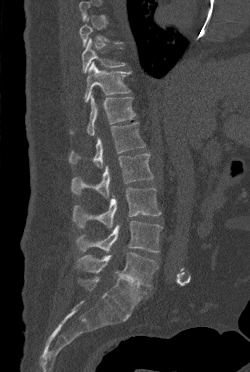
CT spine · sagittal view · Bone window (WL 400, WW 1800). Each box given as x1,y1,x2,y2. A vertebra is boxed only from the first to the last slice where its cross-section is at least a third of its largest; slices outside that range leave it without a box. Vertebrae labeled: L5 at x1=77, y1=252, x2=157, y2=287, L4 at x1=77, y1=220, x2=162, y2=252, L3 at x1=73, y1=187, x2=161, y2=228, L2 at x1=71, y1=153, x2=153, y2=198, L1 at x1=69, y1=122, x2=145, y2=168, T12 at x1=71, y1=94, x2=135, y2=135, T11 at x1=84, y1=61, x2=130, y2=102, T10 at x1=82, y1=38, x2=125, y2=73.